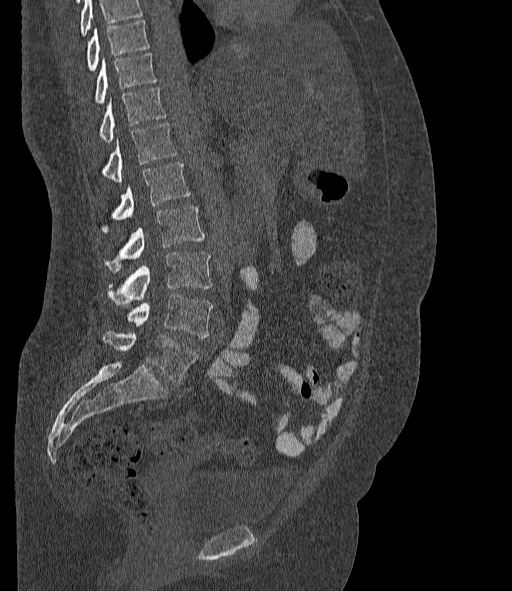
CT spine — sagittal view. Boxes are given in columns x1, y1, x2, y2, the pixel coordinates of their top-left and bottom-right corners.
A vertebra cut off by the top edge of the scan is not labeled and has no box.
The labels name a sixth lumbar vertebra for this spine: L6, after L5.
| vertebra | x1 | y1 | x2 | y2 |
|---|---|---|---|---|
| T10 | 87 | 20 | 150 | 71 |
| T11 | 95 | 53 | 156 | 104 |
| T12 | 99 | 87 | 166 | 142 |
| L1 | 102 | 124 | 177 | 182 |
| L2 | 102 | 162 | 190 | 233 |
| L3 | 104 | 206 | 204 | 271 |
| L4 | 107 | 253 | 211 | 303 |
| L5 | 127 | 293 | 212 | 337 |
| L6 | 102 | 331 | 197 | 383 |